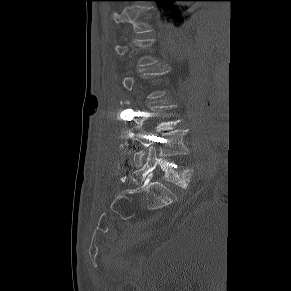
CT · sagittal view · 291x291 px. Boxes: x1 y1 x2 y2 (pixel coords, space-separated).
Not every vertebra on this slice has a box: a vertebra is boxed only from the first to the last slice where its cross-section is at least a third of its largest, and this slice is outside that range for at least one of them.
T12: 112 5 153 32
L3: 133 105 180 131
L4: 129 125 189 166
L5: 132 146 193 187